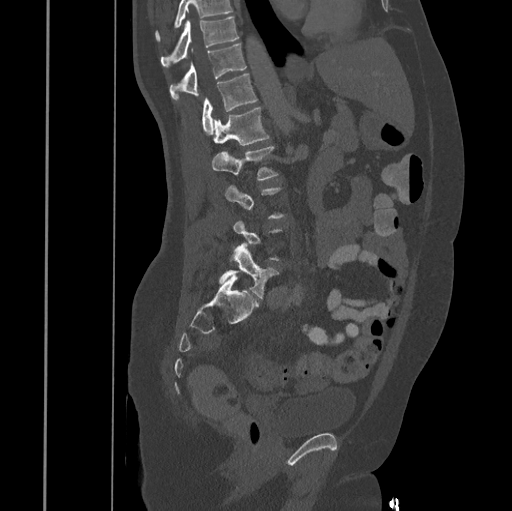 CT, spine. image width 445 mm. sagittal view. 512x511 px

Bounding boxes as [x1, y1, x2, y2] in pixel coordinates.
A vertebra is boxed only from the first to the last slice where its cross-section is at least a third of its largest; slices outside that range leave it without a box.
Vertebrae that run past the top of the scan are left unlabeled.
L5: [219, 243, 279, 298]
L2: [212, 146, 277, 180]
L1: [213, 107, 269, 145]
T12: [202, 74, 257, 135]
T11: [169, 43, 246, 100]
T10: [161, 16, 238, 67]